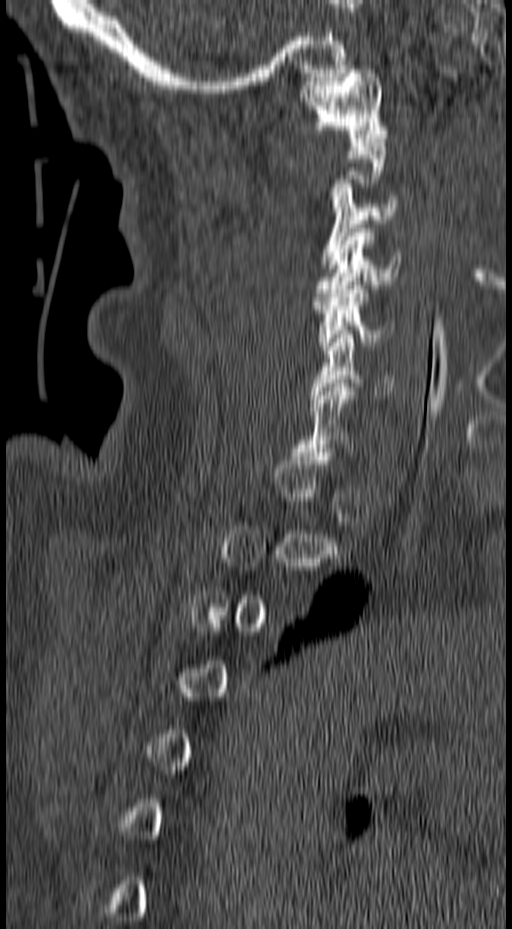 CT spine · sagittal reformat · bone window. Boxes: x1 y1 x2 y2 (pixel coords, space-separated).
A vertebra gets a box only on the slices from the first to the last where its cross-section is at least a third of its largest; on a slice outside that range it gets none.
Vertebra bounding boxes:
- C6: 309 334 394 398
- C5: 314 285 396 350
- C4: 312 228 400 305
- C3: 320 183 398 264
- C1: 297 69 388 142